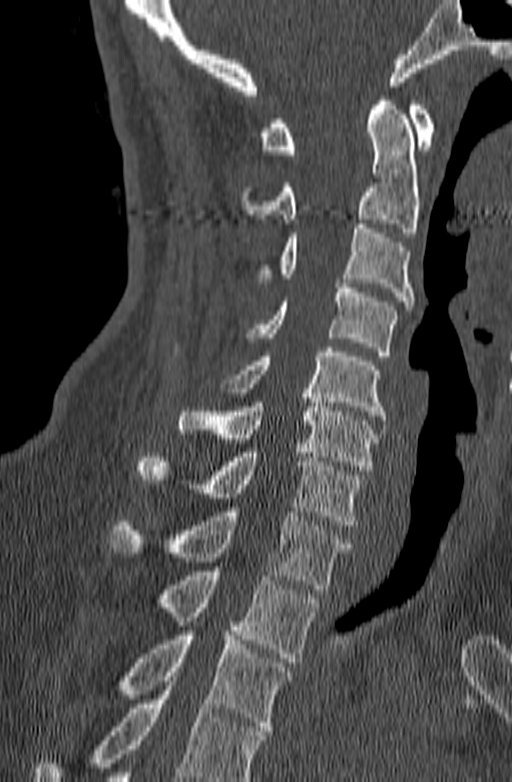

CT. sagittal reformat. W/L 1800/400 HU. 512x782 px

Bounding boxes as [x1, y1, x2, y2] in pixel coordinates.
Vertebrae that run past the bottom of the scan are left unlabeled.
Vertebra bounding boxes:
- C1: [259, 101, 434, 154]
- C2: [241, 96, 420, 237]
- C3: [259, 224, 413, 310]
- C4: [246, 283, 397, 356]
- C5: [221, 347, 386, 420]
- C6: [177, 393, 377, 470]
- C7: [135, 448, 362, 525]
- T1: [108, 507, 351, 589]
- T2: [155, 571, 318, 662]
- T3: [118, 631, 291, 735]